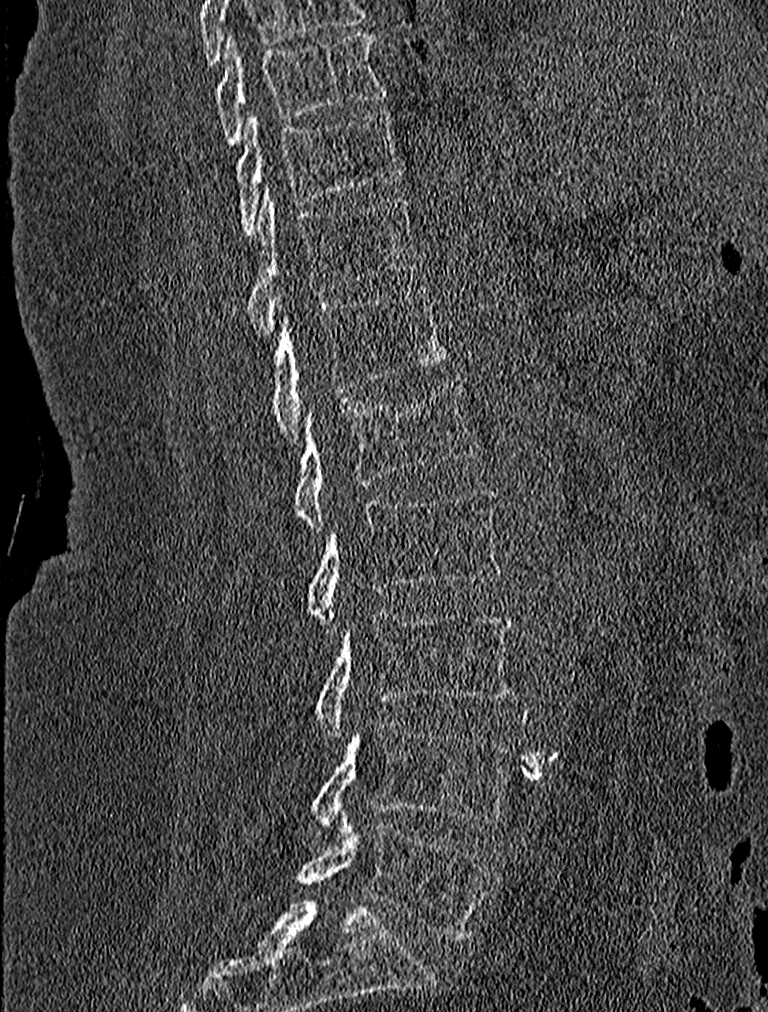

CT, spine. image width 227 mm. sagittal view. W/L 1800/400 HU
In the table, x1 and y1 are a box's top-left corner and x2 and y2 its bottom-right corner, in pixels.
| vertebra | x1 | y1 | x2 | y2 |
|---|---|---|---|---|
| T9 | 215 | 33 | 387 | 145 |
| T10 | 236 | 108 | 404 | 237 |
| T11 | 246 | 187 | 417 | 334 |
| T12 | 269 | 285 | 448 | 441 |
| L1 | 293 | 376 | 478 | 529 |
| L2 | 307 | 487 | 505 | 626 |
| L3 | 317 | 611 | 515 | 739 |
| L4 | 310 | 719 | 513 | 836 |
| L5 | 297 | 822 | 492 | 941 |